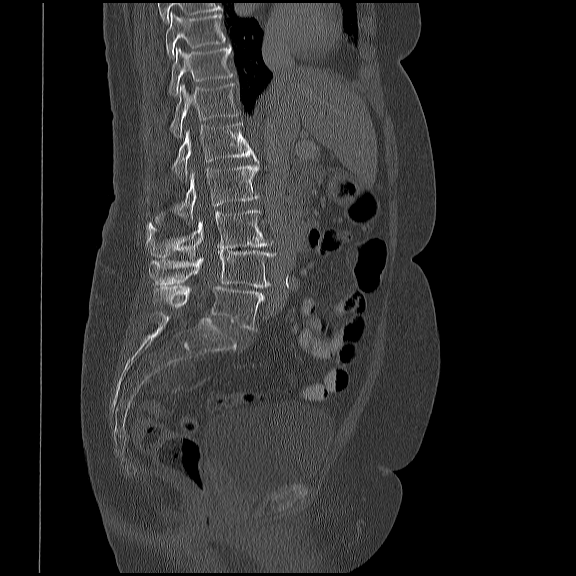
Spine CT — sagittal view — the image spans 419 mm across
Box edges are left/top/right/bottom in pixels.
| vertebra | x1 | y1 | x2 | y2 |
|---|---|---|---|---|
| T10 | 165 | 13 | 225 | 56 |
| T11 | 168 | 45 | 235 | 96 |
| T12 | 170 | 83 | 239 | 137 |
| L1 | 172 | 122 | 258 | 180 |
| L2 | 154 | 164 | 259 | 222 |
| L3 | 145 | 209 | 273 | 259 |
| L4 | 149 | 251 | 280 | 288 |
| L5 | 153 | 285 | 263 | 331 |